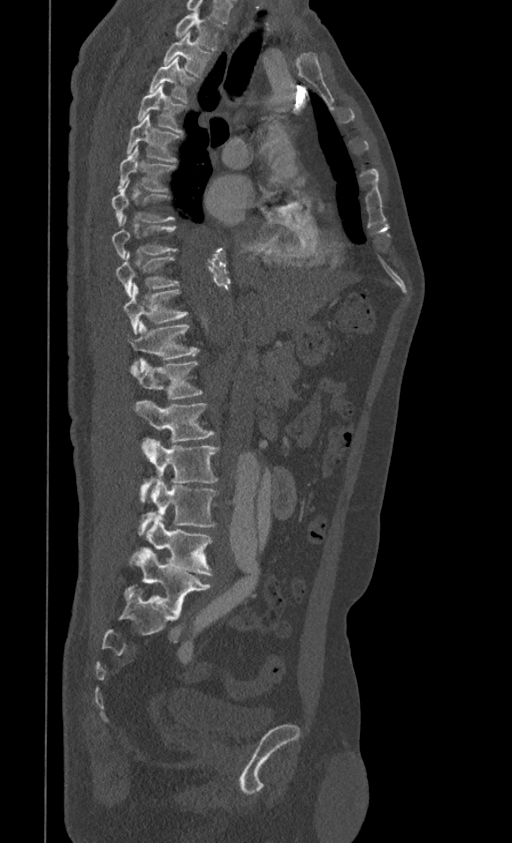
CT spine. sagittal view
Boxes below are [x1, y1, x2, y2] in pixels.
{"vertebrae":{"T1":[174,9,222,51],"T2":[163,31,212,76],"T3":[150,58,194,102],"T4":[137,84,185,133],"T5":[127,114,180,161],"T6":[118,146,175,192],"T7":[111,180,173,223],"T8":[111,216,176,258],"T9":[114,252,179,297],"T10":[123,284,187,333],"T11":[128,321,198,369],"T12":[129,359,203,400],"L1":[133,401,214,441],"L2":[140,438,218,500],"L3":[139,477,217,533],"L4":[132,516,212,575],"L5":[123,547,211,613]}}